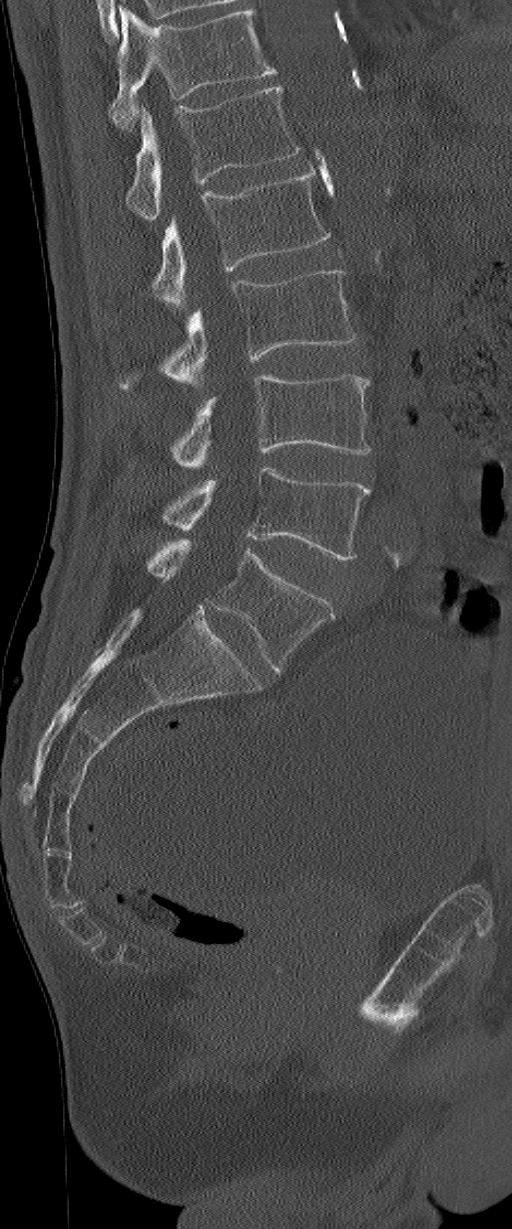
CT. sagittal view. 512x1229 px. Boxes: x1 y1 x2 y2 (pixel coords, space-separated).
Labels in this scan begin with L1 at the top and end with L6 at the bottom.
These labels give the spine a sixth lumbar vertebra, L6, below L5.
Vertebra bounding boxes:
- L1: 127 85 302 220
- L2: 153 164 331 310
- L3: 119 271 357 388
- L4: 171 374 370 467
- L5: 164 466 370 559
- L6: 148 539 336 672